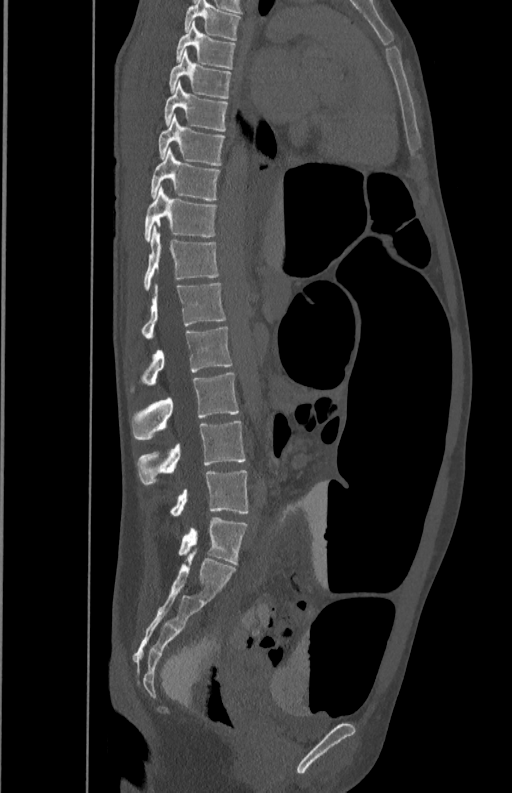
CT, spine — sagittal reformat — bone window
Columns x1, y1, x2, y2 give each box's top-left and bottom-right pixels.
| vertebra | x1 | y1 | x2 | y2 |
|---|---|---|---|---|
| L5 | 171 | 469 | 249 | 516 |
| L4 | 137 | 421 | 246 | 485 |
| L3 | 131 | 373 | 239 | 439 |
| L2 | 130 | 327 | 233 | 393 |
| L1 | 140 | 282 | 226 | 339 |
| T12 | 143 | 225 | 220 | 290 |
| T11 | 145 | 187 | 217 | 241 |
| T10 | 150 | 147 | 220 | 200 |
| T9 | 158 | 116 | 226 | 165 |
| T8 | 164 | 82 | 228 | 131 |
| T7 | 168 | 53 | 231 | 98 |
| T6 | 175 | 21 | 236 | 69 |
| T5 | 184 | 1 | 242 | 40 |